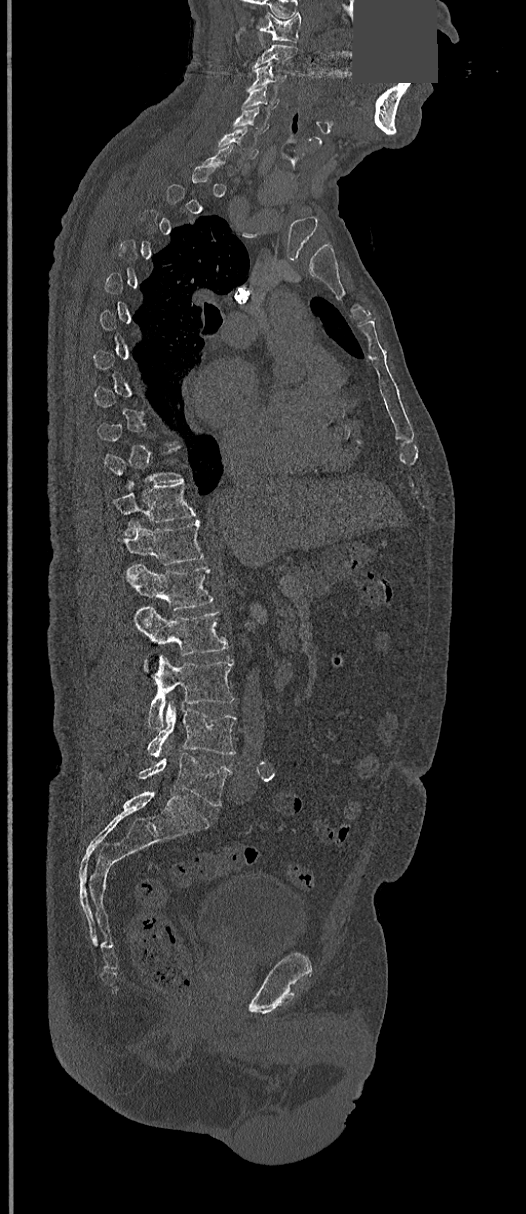

Computed tomography of the spine · sagittal view · 368 mm across the image · part of the image is a flat gray fill, not anatomy
Not every vertebra on this slice has a box: a vertebra is boxed only from the first to the last slice where its cross-section is at least a third of its largest, and this slice is outside that range for at least one of them.
<vertebrae><v name="L5" x1="139" y1="753" x2="232" y2="806"/><v name="L4" x1="147" y1="700" x2="236" y2="759"/><v name="L3" x1="144" y1="656" x2="234" y2="729"/><v name="L2" x1="135" y1="606" x2="227" y2="656"/><v name="L1" x1="127" y1="564" x2="213" y2="610"/><v name="T12" x1="125" y1="520" x2="204" y2="579"/><v name="T11" x1="114" y1="481" x2="196" y2="535"/><v name="C6" x1="216" y1="127" x2="258" y2="158"/><v name="C5" x1="233" y1="107" x2="269" y2="133"/><v name="C4" x1="242" y1="87" x2="279" y2="109"/><v name="C3" x1="247" y1="61" x2="288" y2="88"/><v name="C1" x1="257" y1="13" x2="302" y2="40"/></vertebrae>